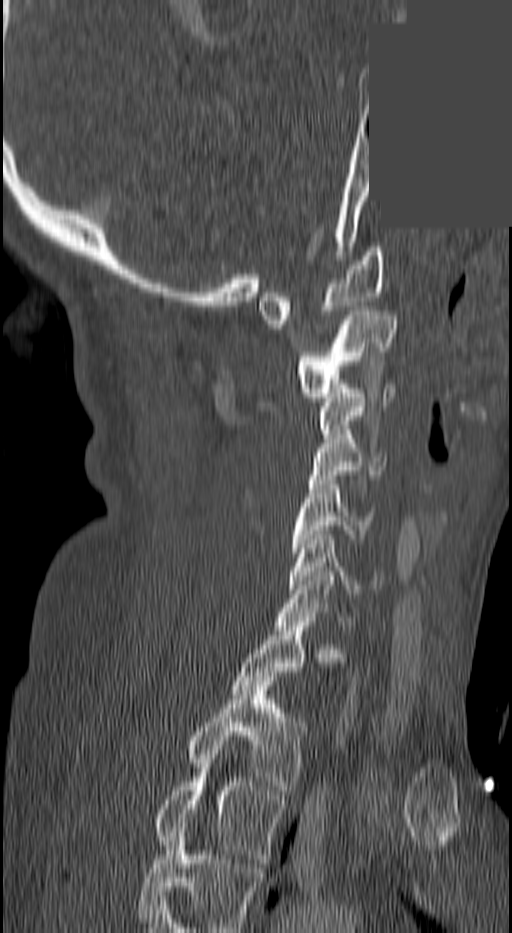
CT — sagittal view — bone-window reconstruction — 512x933 px — a uniform gray block covers part of the image
Boxes: x1:y1:x2:y2 in pixels. Not every vertebra on this slice has a box: a vertebra is boxed only from the first to the last slice where its cross-section is at least a third of its largest, and this slice is outside that range for at least one of them. Labels in this scan begin with C1 at the top and end with T3 at the bottom. Vertebrae labeled: C1 at 258:247:384:324, C2 at 296:311:395:401, C3 at 320:389:395:438, C4 at 309:434:385:484, C5 at 290:485:370:552, C6 at 290:535:380:593, C7 at 276:576:351:630, T2 at 188:677:308:794, T3 at 155:768:286:863.